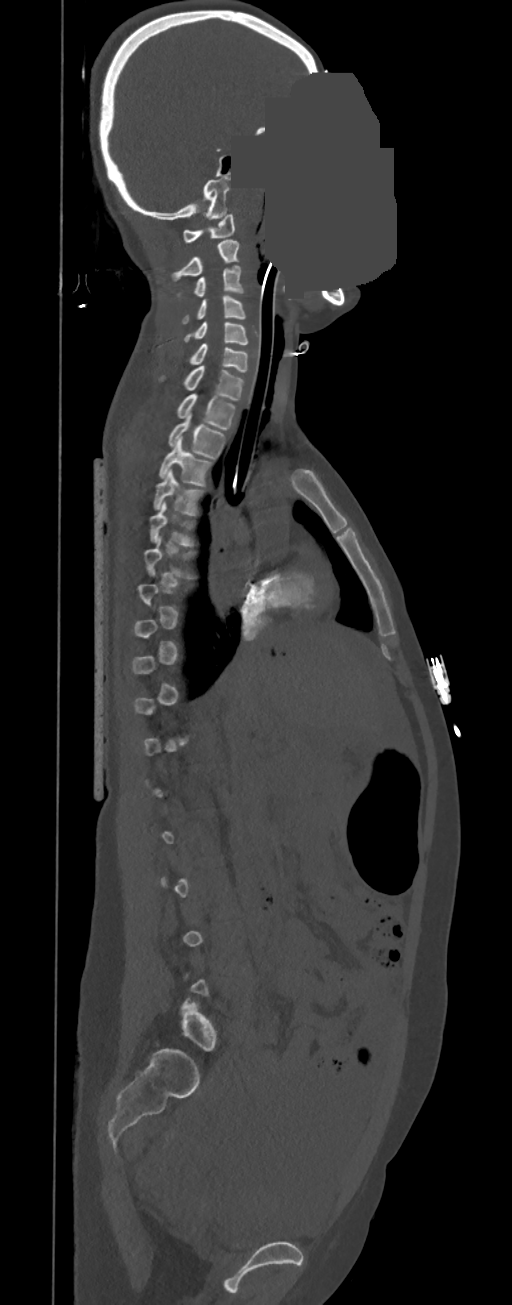

CT — sagittal reformat — Bone window (WL 400, WW 1800) — 512x1305 px — a portion of the image is blanked out (constant pixel value)

Bounding boxes as [x1, y1, x2, y2] in pixel coordinates. Each vertebra is boxed only on the slices from the first to the last where its cross-section reaches a third of its largest, so a slice outside that range leaves it unboxed. The labeled vertebrae in this slice are: C1 at [183, 215, 234, 241], C2 at [171, 240, 239, 279], C3 at [177, 265, 243, 297], C4 at [181, 295, 245, 324], C5 at [184, 321, 248, 344], C6 at [190, 344, 248, 372], C7 at [160, 365, 243, 401], T1 at [177, 394, 234, 430], T2 at [168, 415, 224, 458], T3 at [159, 437, 211, 485], T4 at [153, 469, 202, 515], T5 at [149, 500, 192, 545].